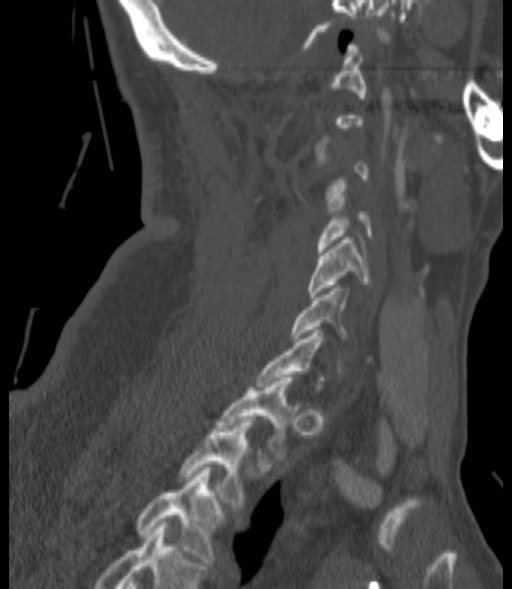

CT, spine — sagittal view
Boxes: x1 y1 x2 y2 (pixel coords, space-separated).
Each vertebra is boxed only on the slices from the first to the last where its cross-section reaches a third of its largest, so a slice outside that range leaves it unboxed.
This scan's labels start at C1 at the top and end at T3 at the bottom.
Vertebra bounding boxes:
- C5: 308 237 370 297
- C6: 292 288 349 341
- T1: 216 378 292 457
- T2: 180 419 253 508
- T3: 136 467 223 562